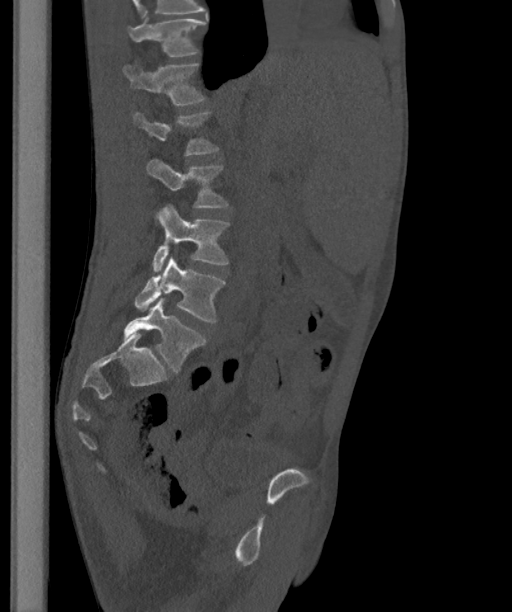
CT — image 363 mm wide — sagittal view
In this scan, the topmost labeled vertebra is T12 and the lowest is L6.
These labels give the spine a sixth lumbar vertebra, L6, below L5.
<vertebrae><v name="T12" x1="127" y1="18" x2="205" y2="56"/><v name="L1" x1="122" y1="63" x2="205" y2="104"/><v name="L2" x1="134" y1="112" x2="219" y2="155"/><v name="L3" x1="146" y1="159" x2="227" y2="207"/><v name="L4" x1="152" y1="204" x2="229" y2="272"/><v name="L5" x1="134" y1="256" x2="224" y2="321"/><v name="L6" x1="123" y1="298" x2="205" y2="371"/></vertebrae>